Computed tomography of the spine. Sagittal slice 262/512. bone window. 512x681 px
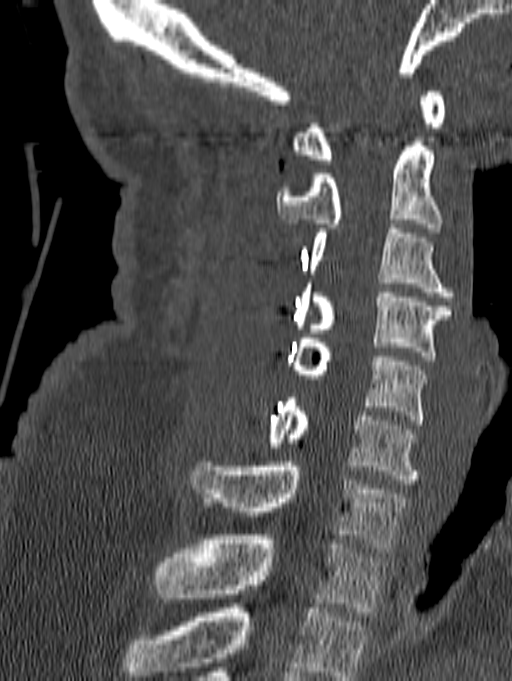 Columns x1, y1, x2, y2 give each box's top-left and bottom-right pixels.
This scan's labels start at C1 at the top and end at T1 at the bottom.
| vertebra | x1 | y1 | x2 | y2 |
|---|---|---|---|---|
| T1 | 155 | 535 | 385 | 616 |
| C7 | 192 | 462 | 406 | 552 |
| C6 | 265 | 398 | 421 | 484 |
| C5 | 287 | 338 | 428 | 424 |
| C4 | 295 | 283 | 451 | 360 |
| C3 | 309 | 229 | 454 | 301 |
| C2 | 276 | 142 | 442 | 232 |
| C1 | 292 | 91 | 445 | 164 |